Spine CT. sagittal reformat. 512x878 px
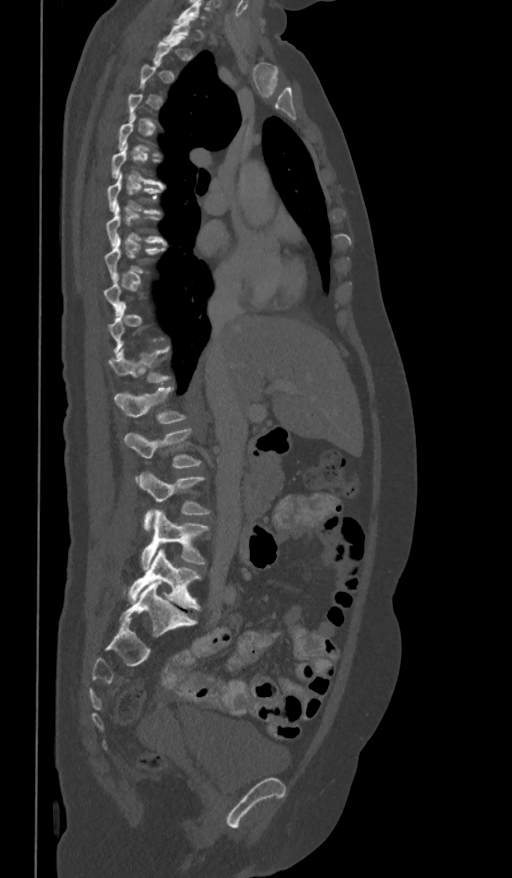
Bounding boxes as [x1, y1, x2, y2] in pixel coordinates.
A vertebra is boxed only from the first to the last slice where its cross-section is at least a third of its largest; slices outside that range leave it without a box.
T6: [112, 144, 163, 185]
T7: [108, 172, 163, 213]
T8: [106, 204, 166, 247]
T9: [105, 237, 165, 280]
T12: [108, 346, 172, 382]
L1: [113, 387, 186, 424]
L2: [125, 429, 202, 467]
L3: [139, 471, 210, 531]
L4: [142, 509, 209, 570]
L5: [127, 549, 202, 610]